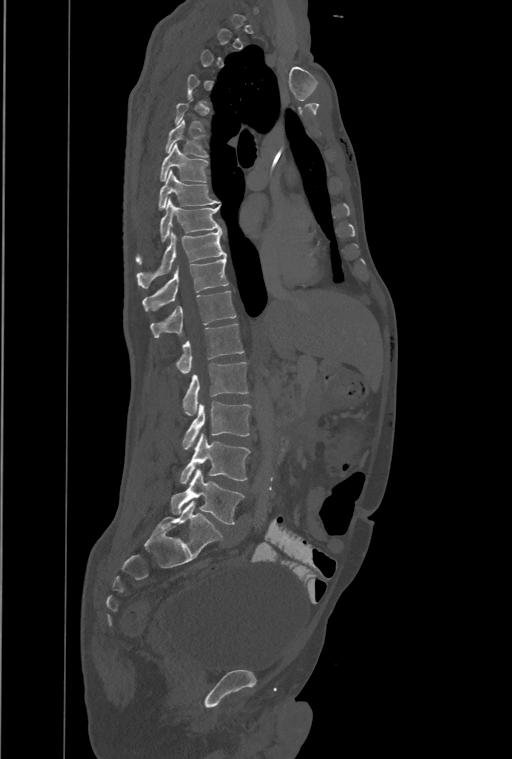 Spine computed tomography — sagittal view
Each vertebra maps to its box as [x1, y1, x2, y2], the pixel coordinates of its top-left and bottom-right corners.
Not every vertebra on this slice has a box: a vertebra is boxed only from the first to the last slice where its cross-section is at least a third of its largest, and this slice is outside that range for at least one of them.
Labels in this scan begin with T1 at the top and end with L4 at the bottom.
The labels name an extra thoracic vertebra here, T13, which comes after T12 and before L1.
{"vertebrae":{"T6":[165,119,208,157],"T7":[160,144,207,181],"T8":[157,170,219,209],"T9":[135,198,221,264],"T10":[136,230,226,288],"T11":[143,257,228,310],"T12":[151,291,235,337],"T13":[177,324,243,374],"L1":[183,362,247,415],"L2":[183,401,251,449],"L3":[181,432,249,484],"L4":[171,469,244,525]}}